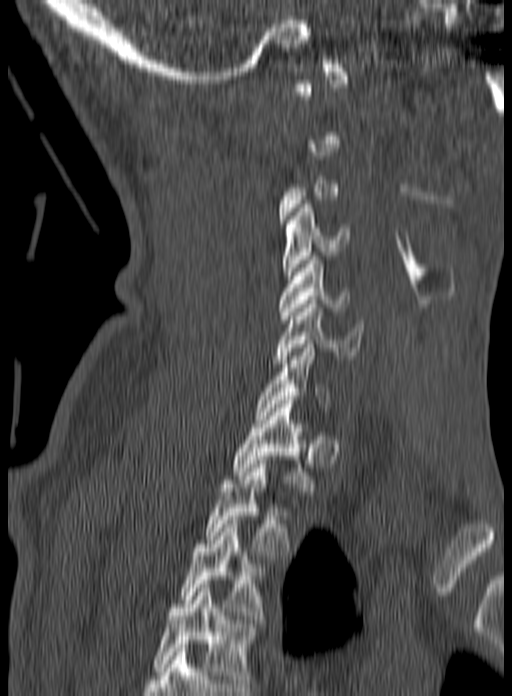
CT spine. sagittal view
Each vertebra is boxed only on the slices from the first to the last where its cross-section reaches a third of its largest, so a slice outside that range leaves it unboxed.
Labels in this scan begin with C1 at the top and end with T3 at the bottom.
<vertebrae><v name="T3" x1="180" y1="516" x2="263" y2="619"/><v name="T2" x1="206" y1="464" x2="291" y2="559"/><v name="T1" x1="232" y1="400" x2="314" y2="491"/><v name="C7" x1="254" y1="340" x2="330" y2="419"/><v name="C6" x1="273" y1="300" x2="364" y2="363"/><v name="C5" x1="278" y1="256" x2="349" y2="319"/><v name="C4" x1="282" y1="204" x2="349" y2="279"/></vertebrae>